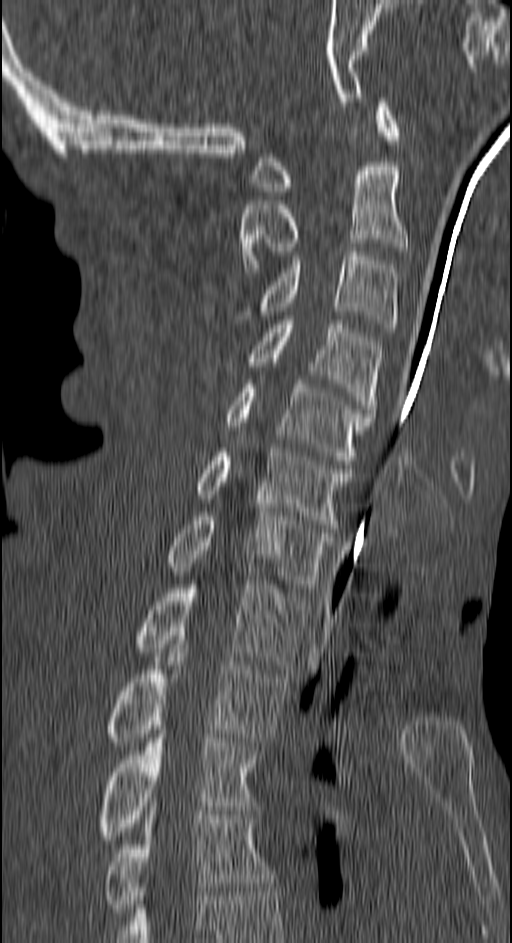
CT, spine · image 150 mm wide · sagittal view · 512x943 px
Boxes: x1 y1 x2 y2 (pixel coords, space-separated). 11 vertebrae labeled — T4 at 104 815 277 916; T3 at 100 734 260 840; T2 at 107 649 287 746; T1 at 138 580 305 669; C7 at 168 508 331 592; C6 at 199 448 352 528; C5 at 226 380 374 464; C4 at 250 316 383 413; C3 at 257 252 396 328; C2 at 240 166 406 272; C1 at 253 98 400 195.